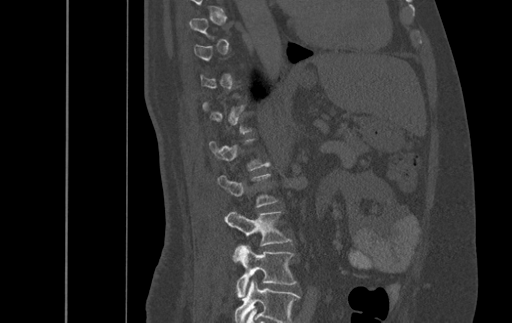

CT · sagittal view · bone-window reconstruction · 512x323 px. Each box given as x1,y1,x2,y2.
Each vertebra is boxed only on the slices from the first to the last where its cross-section reaches a third of its largest, so a slice outside that range leaves it unboxed.
The highest labeled vertebra in this scan is T9; the lowest is L4.
| vertebra | x1 | y1 | x2 | y2 |
|---|---|---|---|---|
| L3 | 224 | 211 | 291 | 251 |
| L4 | 233 | 245 | 296 | 299 |